Computed tomography of the spine. Sagittal slice 71/145. W/L 1800/400 HU. 8 vertebrae labeled in this scan
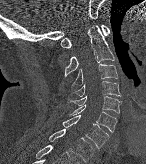
In the table, x1 and y1 are a box's top-left corner and x2 and y2 its bottom-right corner, in pixels.
| vertebra | x1 | y1 | x2 | y2 |
|---|---|---|---|---|
| T1 | 48 | 128 | 94 | 162 |
| C7 | 62 | 115 | 108 | 148 |
| C6 | 71 | 104 | 117 | 132 |
| C5 | 68 | 94 | 121 | 113 |
| C4 | 74 | 81 | 120 | 97 |
| C3 | 72 | 63 | 117 | 86 |
| C2 | 64 | 25 | 115 | 76 |
| C1 | 61 | 25 | 110 | 48 |